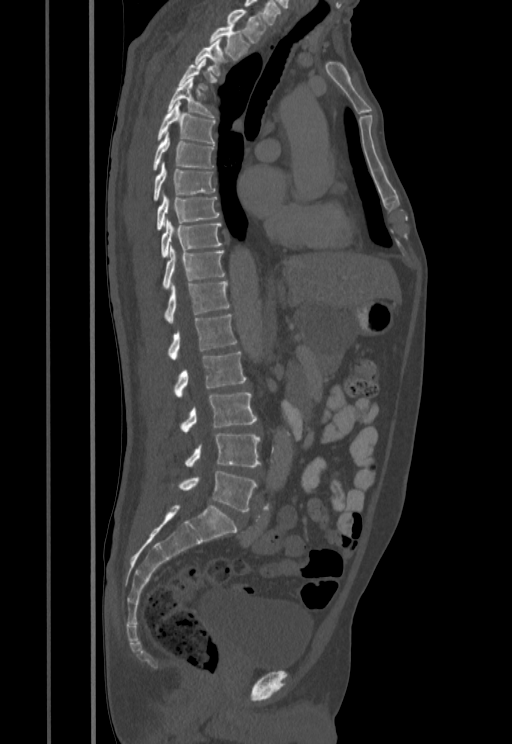
CT, spine; sagittal view; 512x744 px
Box values are [left, top, right, bottom] in pixels.
A vertebra is boxed only from the first to the last slice where its cross-section is at least a third of its largest; slices outside that range leave it without a box.
{"vertebrae":{"T1":[226,10,265,43],"T2":[209,24,250,59],"T3":[193,38,228,75],"T5":[168,77,215,119],"T6":[156,101,215,144],"T7":[152,134,214,171],"T8":[153,163,215,200],"T9":[156,196,219,230],"T10":[161,219,222,258],"T11":[162,246,224,290],"T12":[163,281,230,323],"L1":[168,314,236,359],"L2":[173,352,246,397],"L3":[180,392,257,431],"L4":[184,433,261,467],"L5":[171,471,258,511]}}